Computed tomography of the spine. sagittal plane, index 228
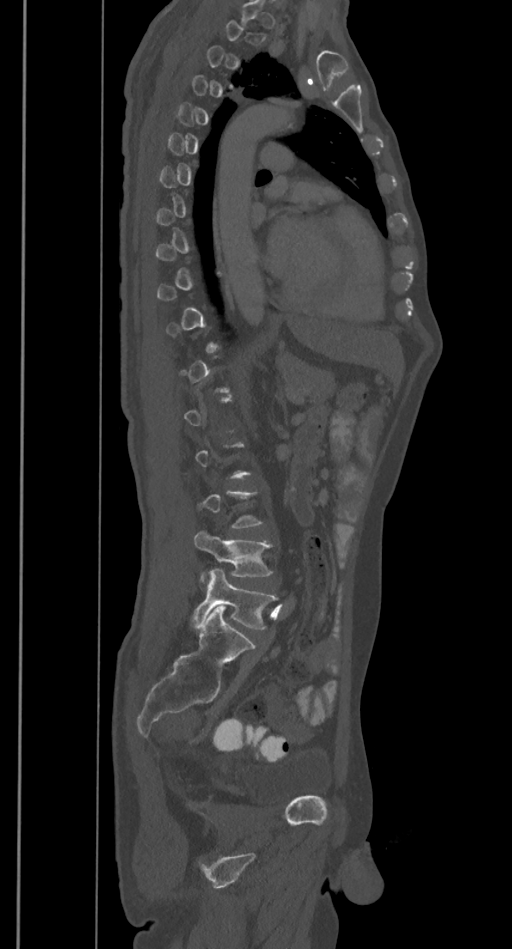 Each box is [x1, y1, x2, y2] in pixels: top-left corner, then bottom-right corner.
Not every vertebra on this slice has a box: a vertebra is boxed only from the first to the last slice where its cross-section is at least a third of its largest, and this slice is outside that range for at least one of them.
{"vertebrae":{"L4":[194,531,271,576],"L5":[191,569,277,629]}}